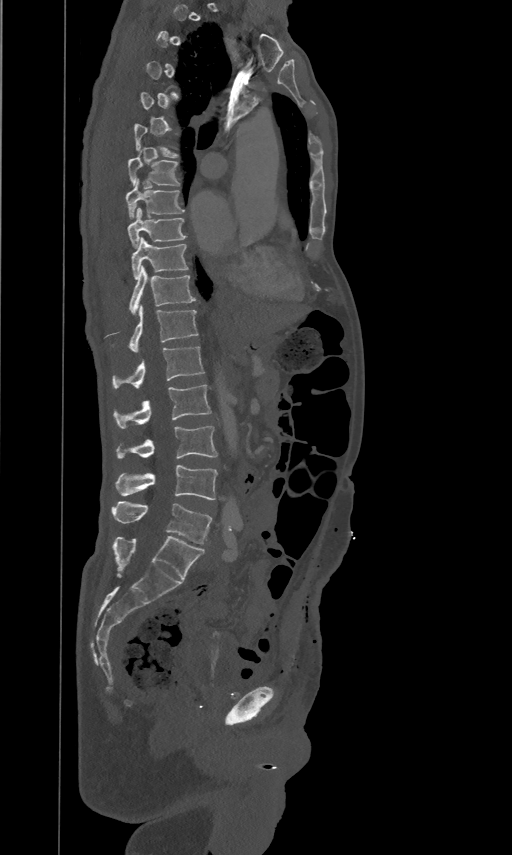 Computed tomography of the spine. sagittal view. 461 mm wide. 512x855 px. Boxes: x1 y1 x2 y2 (pixel coords, space-separated). A vertebra is boxed only from the first to the last slice where its cross-section is at least a third of its largest; slices outside that range leave it without a box. 11 vertebrae labeled — T7 at 128 155 179 185; T8 at 125 178 185 218; T9 at 128 206 186 246; T10 at 131 236 188 278; T11 at 129 265 195 313; T12 at 129 304 198 351; L1 at 112 345 204 388; L2 at 113 384 211 429; L3 at 117 425 217 459; L4 at 116 465 217 500; L5 at 111 501 212 544.